CT · Sagittal slice 163/350 · 350x440 px
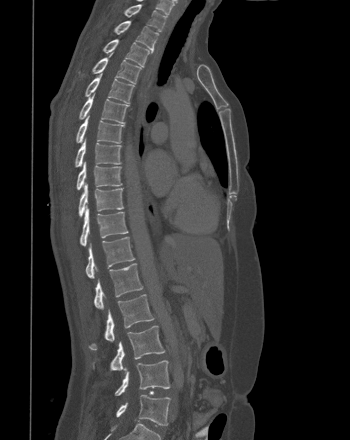

Coordinates as <box>x1,y1,x2,y2</box>.
Vertebra bounding boxes:
- T1: <box>125,5,166,31</box>
- T2: <box>114,21,158,51</box>
- T3: <box>103,39,151,66</box>
- T4: <box>79,53,141,83</box>
- T5: <box>85,74,134,103</box>
- T6: <box>79,94,128,123</box>
- T7: <box>76,114,124,143</box>
- T8: <box>75,138,121,167</box>
- T9: <box>76,161,122,190</box>
- T10: <box>78,183,123,217</box>
- T11: <box>80,206,128,246</box>
- T12: <box>85,237,134,278</box>
- L1: <box>94,263,143,309</box>
- L2: <box>89,294,154,350</box>
- L3: <box>93,325,164,370</box>
- L4: <box>115,360,170,395</box>
- L5: <box>116,395,170,425</box>